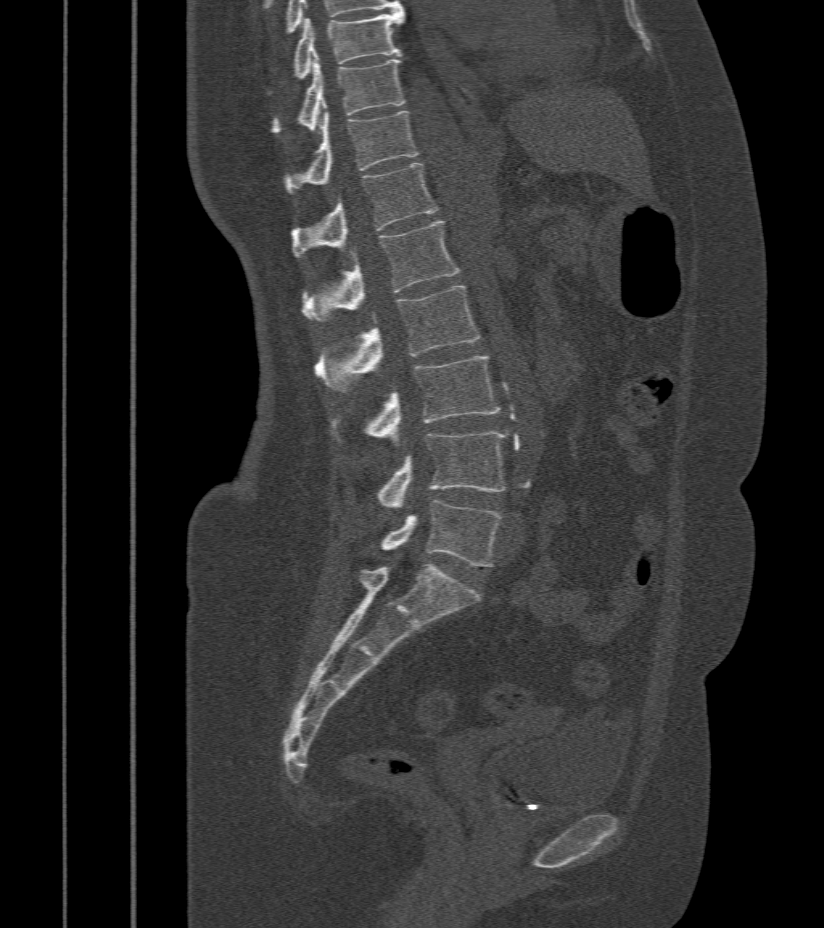

CT, spine — sagittal view — W/L 1800/400 HU

In the table, x1 and y1 are a box's top-left corner and x2 and y2 its bottom-right corner, in pixels.
| vertebra | x1 | y1 | x2 | y2 |
|---|---|---|---|---|
| L5 | 380 | 501 | 501 | 566 |
| L4 | 377 | 431 | 508 | 508 |
| L3 | 330 | 357 | 501 | 442 |
| L2 | 314 | 285 | 480 | 392 |
| L1 | 303 | 221 | 459 | 322 |
| T12 | 291 | 163 | 438 | 258 |
| T11 | 283 | 111 | 419 | 192 |
| T10 | 270 | 56 | 405 | 134 |
| T9 | 267 | 9 | 405 | 92 |